Spine computed tomography; sagittal view; Bone window (WL 400, WW 1800); 350 mm wide; 512x793 px
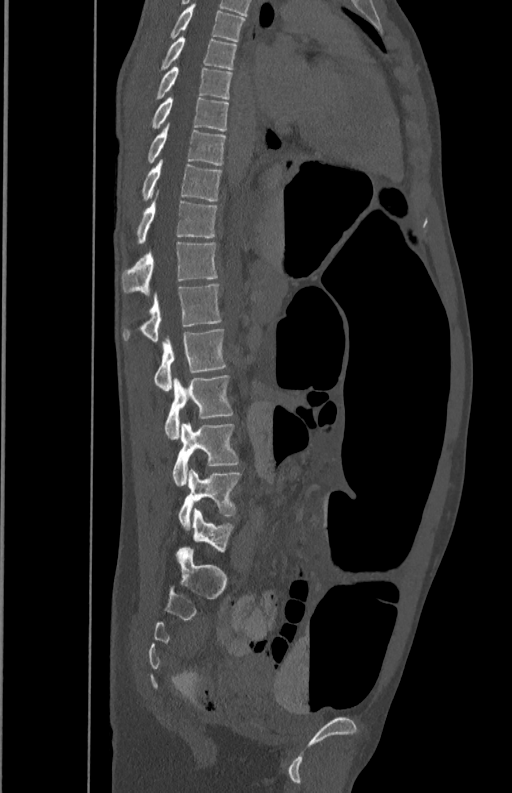

<vertebrae><v name="T5" x1="169" y1="3" x2="245" y2="41"/><v name="T6" x1="159" y1="37" x2="237" y2="70"/><v name="T7" x1="155" y1="66" x2="231" y2="99"/><v name="T8" x1="150" y1="96" x2="228" y2="131"/><v name="T9" x1="148" y1="124" x2="226" y2="165"/><v name="T10" x1="142" y1="159" x2="221" y2="200"/><v name="T11" x1="136" y1="192" x2="217" y2="243"/><v name="T12" x1="121" y1="241" x2="217" y2="294"/><v name="L1" x1="123" y1="283" x2="221" y2="343"/><v name="L2" x1="153" y1="329" x2="227" y2="391"/><v name="L3" x1="165" y1="375" x2="233" y2="439"/><v name="L4" x1="172" y1="423" x2="239" y2="486"/><v name="L5" x1="178" y1="467" x2="240" y2="528"/></vertebrae>